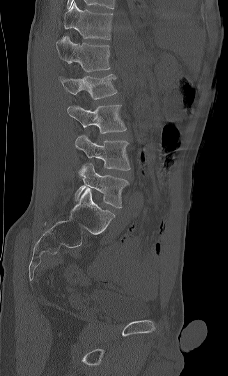
Computed tomography of the spine — sagittal view — bone-window reconstruction
Each box given as x1,y1,x2,y2.
In this scan, the topmost labeled vertebra is L1 and the lowest is L5.
| vertebra | x1 | y1 | x2 | y2 |
|---|---|---|---|---|
| L5 | 73 | 163 | 128 | 208 |
| L4 | 75 | 135 | 130 | 170 |
| L3 | 67 | 104 | 126 | 133 |
| L2 | 58 | 74 | 117 | 99 |
| L1 | 56 | 36 | 110 | 72 |